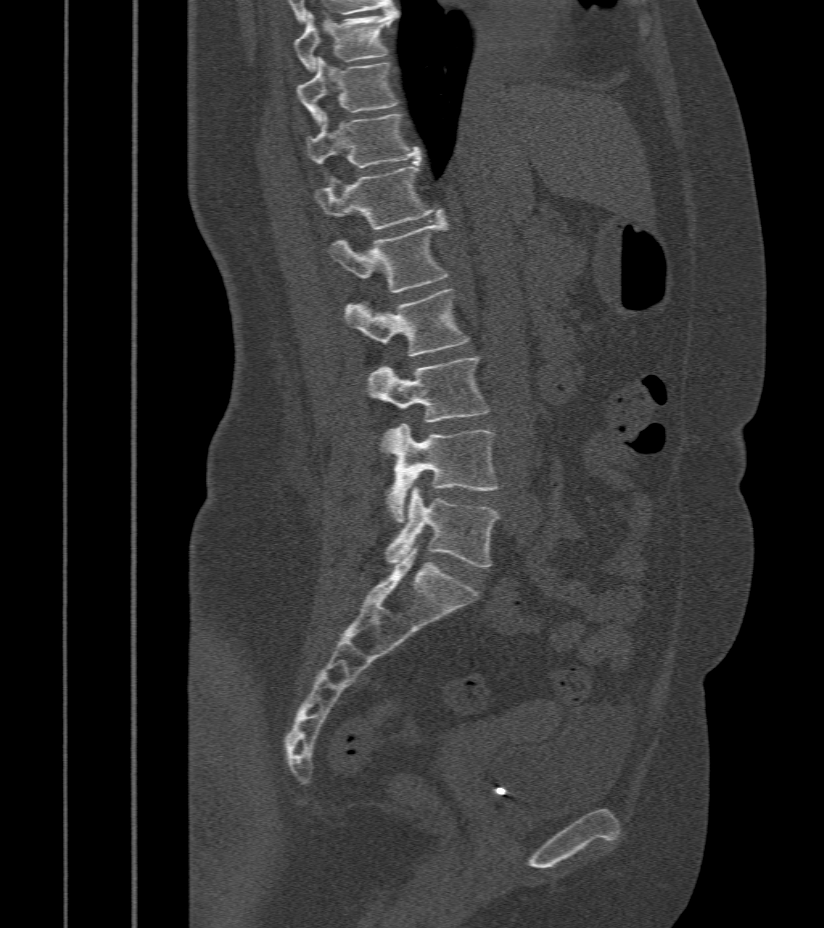 CT spine — sagittal reformat — 824x928 px. Bounding boxes as [x1, y1, x2, y2] in pixel coordinates. 9 vertebrae labeled — T9 at [295, 9, 398, 72]; T10 at [296, 57, 398, 123]; T11 at [306, 113, 421, 180]; T12 at [314, 163, 443, 230]; L1 at [330, 217, 448, 292]; L2 at [344, 289, 469, 356]; L3 at [365, 357, 488, 452]; L4 at [388, 423, 500, 522]; L5 at [386, 487, 500, 568].